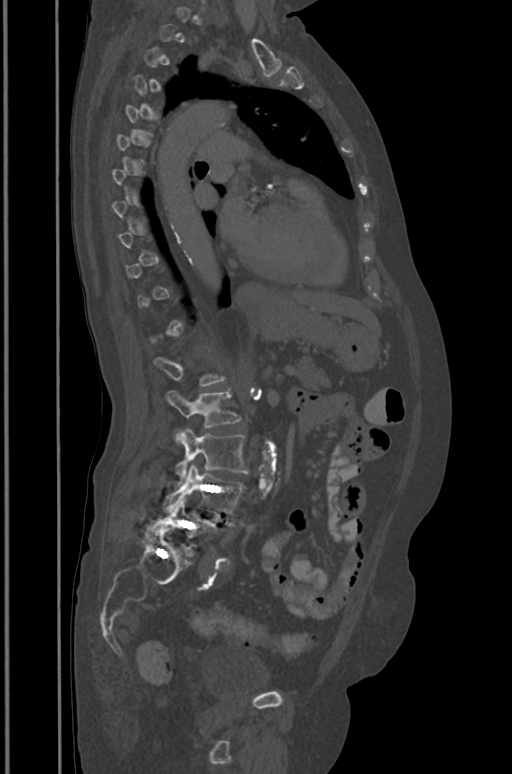 Spine computed tomography. sagittal view. 391 mm image width
Columns x1, y1, x2, y2 give each box's top-left and bottom-right pixels.
Each vertebra is boxed only on the slices from the first to the last where its cross-section reaches a third of its largest, so a slice outside that range leaves it unboxed.
| vertebra | x1 | y1 | x2 | y2 |
|---|---|---|---|---|
| L5 | 153 | 500 | 219 | 550 |
| L4 | 165 | 464 | 246 | 514 |
| L3 | 174 | 429 | 248 | 483 |
| L2 | 166 | 390 | 240 | 442 |